CT. sagittal reformat. bone window. part of the image has been replaced by a constant value
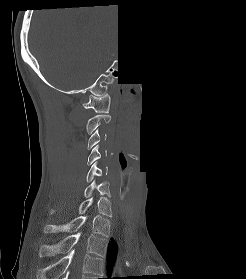
Each box given as x1,y1,x2,y2.
This scan's labels start at C1 at the top and end at T2 at the bottom.
| vertebra | x1 | y1 | x2 | y2 |
|---|---|---|---|---|
| C1 | 82 | 94 | 110 | 112 |
| C2 | 86 | 114 | 111 | 133 |
| C3 | 87 | 129 | 106 | 149 |
| C4 | 87 | 144 | 106 | 165 |
| C5 | 86 | 161 | 107 | 182 |
| C6 | 83 | 179 | 110 | 197 |
| C7 | 47 | 197 | 112 | 216 |
| T1 | 44 | 215 | 110 | 236 |
| T2 | 39 | 233 | 107 | 257 |